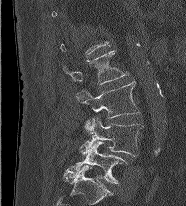

CT — the image spans 186 mm across — sagittal view — Bone window (WL 400, WW 1800) — 186x206 px
Not every vertebra on this slice has a box: a vertebra is boxed only from the first to the last slice where its cross-section is at least a third of its largest, and this slice is outside that range for at least one of them.
<vertebrae><v name="L2" x1="63" y1="50" x2="128" y2="84"/><v name="L3" x1="76" y1="81" x2="139" y2="129"/><v name="L4" x1="80" y1="118" x2="144" y2="156"/><v name="L5" x1="64" y1="141" x2="128" y2="183"/></vertebrae>